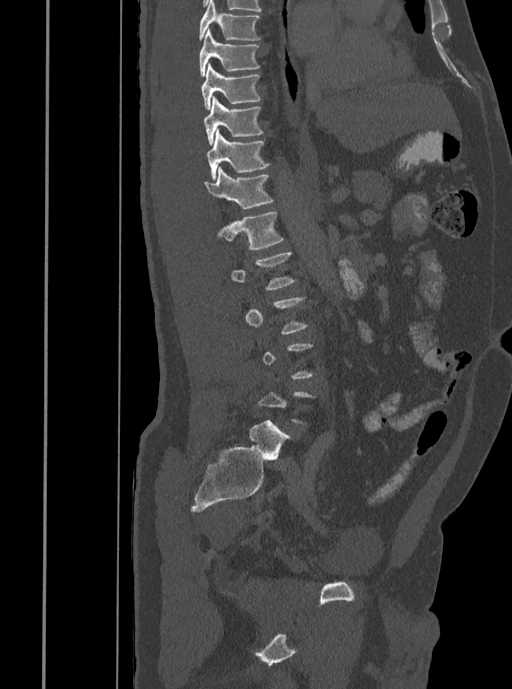

CT. sagittal view. bone-window reconstruction. 512x689 px. Each row gives a vertebra's box as x1, y1, x2, y2 in pixels: top-left corner, then bottom-right corner.
Not every vertebra on this slice has a box: a vertebra is boxed only from the first to the last slice where its cross-section is at least a third of its largest, and this slice is outside that range for at least one of them.
| vertebra | x1 | y1 | x2 | y2 |
|---|---|---|---|---|
| L2 | 231 | 251 | 296 | 290 |
| L1 | 217 | 211 | 284 | 249 |
| T12 | 203 | 167 | 274 | 209 |
| T11 | 207 | 130 | 270 | 180 |
| T10 | 204 | 96 | 264 | 145 |
| T9 | 202 | 63 | 261 | 110 |
| T8 | 199 | 28 | 260 | 76 |
| T7 | 198 | 0 | 261 | 41 |